CT, spine — Sagittal slice 269/512 — bone window
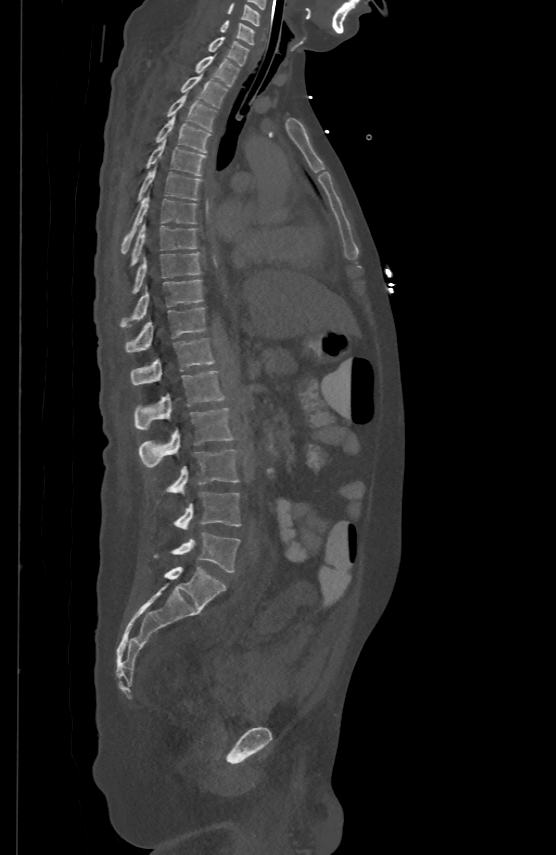

Each vertebra maps to its box as [x1, y1, x2, y2], the pixel coordinates of its top-left and bottom-right corners.
{"vertebrae":{"C5":[228,2,259,24],"C6":[219,20,253,43],"C7":[208,36,247,64],"T1":[195,54,239,85],"T2":[181,73,227,106],"T3":[167,93,216,130],"T4":[155,114,211,151],"T5":[146,139,205,175],"T6":[138,165,200,199],"T7":[122,194,195,252],"T8":[132,222,195,262],"T9":[133,252,200,291],"T10":[122,279,203,326],"T11":[126,306,205,351],"T12":[131,337,214,383],"L1":[135,370,224,430],"L2":[139,406,232,467],"L3":[156,450,239,503],"L4":[174,492,240,529],"L5":[153,533,240,572]}}